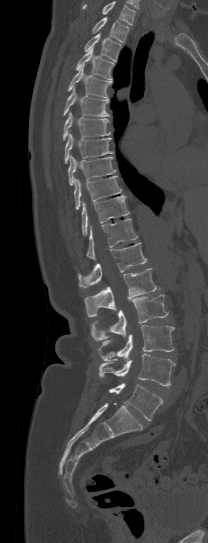 Computed tomography of the spine — sagittal view — image width 208 mm — Bone window (WL 400, WW 1800). Boxes: x1 y1 x2 y2 (pixel coords, space-separated). No box is given to a vertebra that the top edge of the scan cuts off. Vertebrae labeled: T1 at 92 17 129 42, T2 at 84 33 121 61, T3 at 76 47 113 80, T4 at 68 66 112 97, T5 at 63 86 109 116, T6 at 63 112 110 140, T7 at 65 133 113 163, T8 at 68 156 115 185, T9 at 74 176 121 209, T10 at 81 195 128 235, T11 at 86 218 137 260, T12 at 77 241 146 287, L1 at 84 268 156 316, L2 at 91 294 168 340, L3 at 98 325 174 360, L4 at 99 353 176 387, L5 at 108 383 162 420.